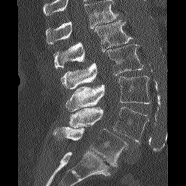

Computed tomography of the spine — sagittal view — bone-window reconstruction — 186x186 px

Box values are [left, top, right, bottom] in pixels.
A vertebra cut off by the top edge of the scan is not labeled and has no box.
{"vertebrae":{"L5":[53,127,127,166],"L4":[69,106,148,143],"L3":[65,75,150,111],"L2":[61,44,143,89],"L1":[54,20,131,68]}}